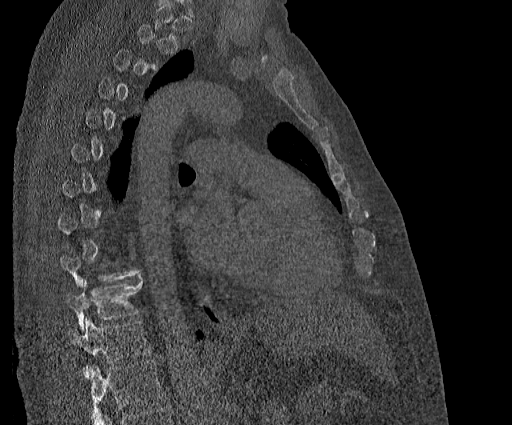

CT, spine — the image is 384 mm wide — sagittal reformat — bone window
A vertebra is boxed only from the first to the last slice where its cross-section is at least a third of its largest; slices outside that range leave it without a box.
In this scan, the topmost labeled vertebra is T2 and the lowest is T11.
<vertebrae><v name="T11" x1="68" y1="319" x2="152" y2="376"/><v name="T10" x1="66" y1="275" x2="142" y2="331"/></vertebrae>